CT spine — Sagittal slice 277/512 — 512x705 px — scan covers 17 annotated vertebrae
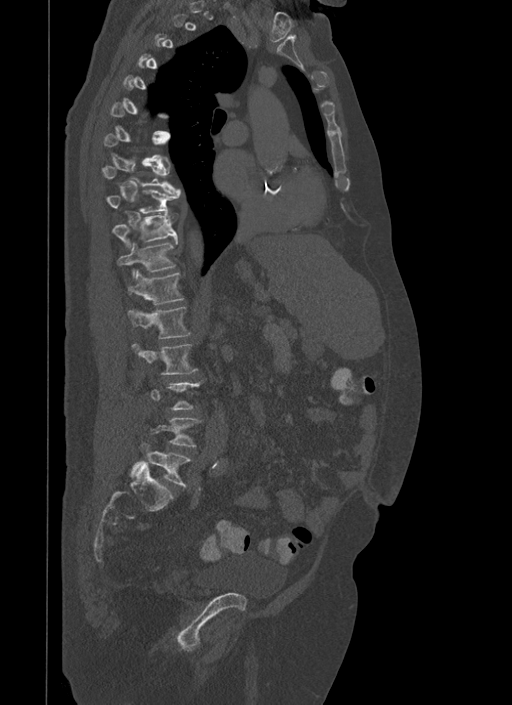 Boxes below are [x1, y1, x2, y2] in pixels.
Each vertebra is boxed only on the slices from the first to the last where its cross-section reaches a third of its largest, so a slice outside that range leaves it unboxed.
{"vertebrae":{"T8":[101,162,180,192],"T9":[105,190,181,213],"T10":[113,212,178,246],"T11":[117,241,176,275],"T12":[127,270,184,304],"L1":[128,307,190,338],"L2":[131,344,196,374],"L5":[132,445,190,486]}}